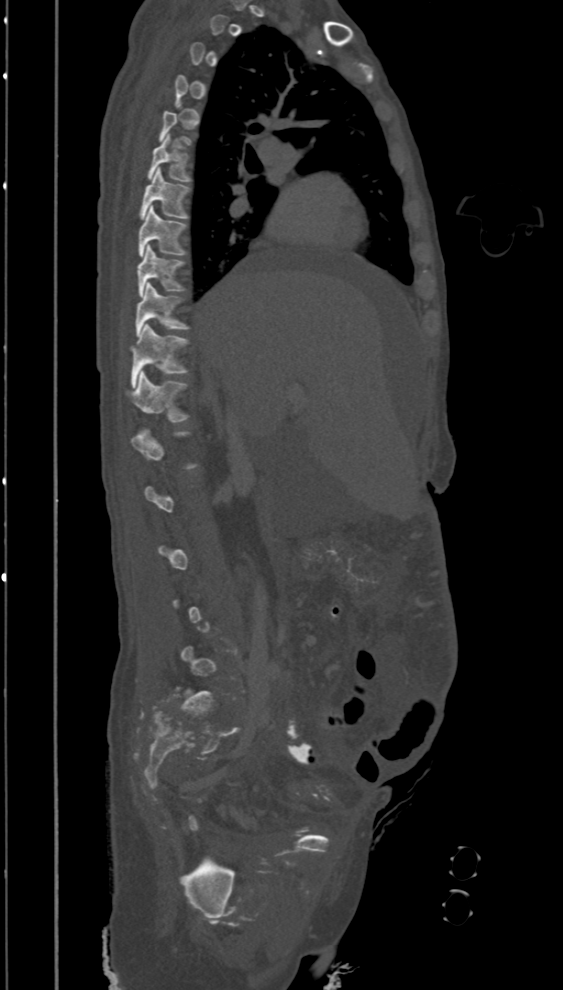

Computed tomography of the spine · sagittal reformat · bone window
Not every vertebra on this slice has a box: a vertebra is boxed only from the first to the last slice where its cross-section is at least a third of its largest, and this slice is outside that range for at least one of them.
<vertebrae><v name="T12" x1="124" y1="370" x2="188" y2="422"/><v name="T11" x1="130" y1="323" x2="189" y2="387"/><v name="T10" x1="135" y1="282" x2="190" y2="336"/><v name="T9" x1="137" y1="245" x2="183" y2="296"/><v name="T8" x1="139" y1="205" x2="185" y2="256"/><v name="T7" x1="140" y1="167" x2="187" y2="218"/><v name="T6" x1="147" y1="135" x2="191" y2="181"/></vertebrae>